CT, spine · Sagittal slice 75/199 · Bone window (WL 400, WW 1800) · 199x227 px
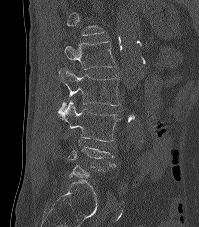 Boxes are (x1, y1, x2, y2) in pixels.
Not every vertebra on this slice has a box: a vertebra is boxed only from the first to the last slice where its cross-section is at least a third of its largest, and this slice is outside that range for at least one of them.
Vertebra bounding boxes:
- L1: (64, 41, 115, 69)
- L2: (58, 68, 119, 114)
- L3: (59, 100, 119, 141)